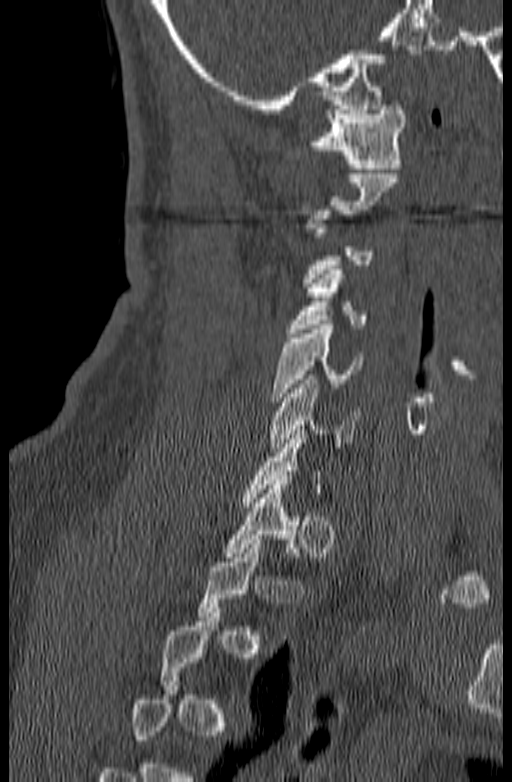
CT, spine — sagittal view — 140 mm image width
Boxes: x1 y1 x2 y2 (pixel coords, space-separated). A vertebra gets a box only on the slices from the first to the last where its cross-section is at least a third of its largest; on a slice outside that range it gets none. Vertebrae labeled: C1 at 307 105 406 168, C4 at 286 265 366 333, C5 at 272 325 363 401, C6 at 268 375 359 452, T1 at 222 480 301 557.